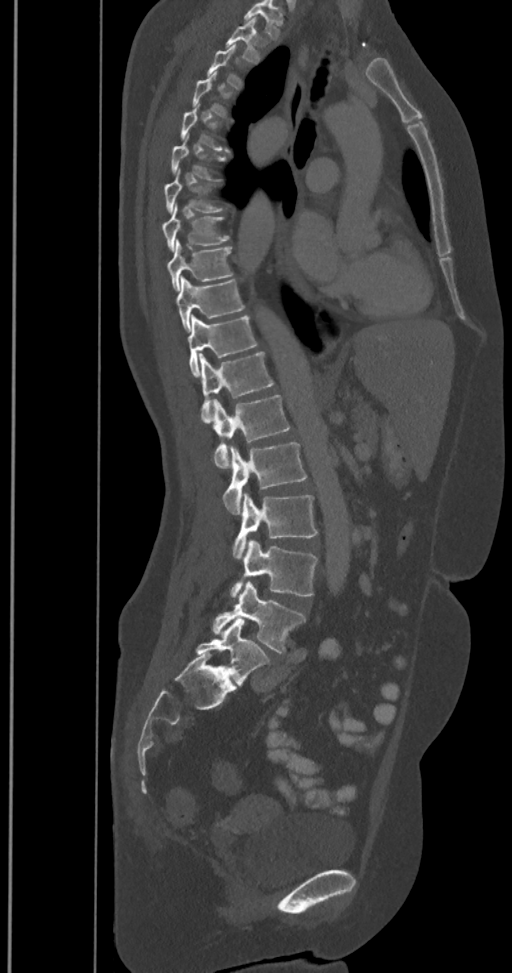
CT · sagittal reformat

Box edges are left/top/right/bottom in pixels.
Each vertebra is boxed only on the slices from the first to the last where its cross-section reaches a third of its largest, so a slice outside that range leaves it unboxed.
In this scan, the topmost labeled vertebra is T2 and the lowest is L6.
The labels name a sixth lumbar vertebra for this spine: L6, after L5.
T2: left=225, top=18, right=261, bottom=62
T6: left=171, top=137, right=226, bottom=181
T7: left=164, top=170, right=226, bottom=212
T8: left=162, top=205, right=228, bottom=250
T9: left=167, top=240, right=233, bottom=290
T10: left=175, top=276, right=245, bottom=332
T11: left=187, top=315, right=256, bottom=376
T12: left=200, top=352, right=274, bottom=422
L1: left=212, top=395, right=290, bottom=469
L2: left=222, top=442, right=306, bottom=514
L3: left=232, top=492, right=318, bottom=559
L4: left=231, top=540, right=318, bottom=598
L5: left=212, top=581, right=306, bottom=653
L6: left=196, top=619, right=269, bottom=684